Computed tomography of the spine — sagittal view
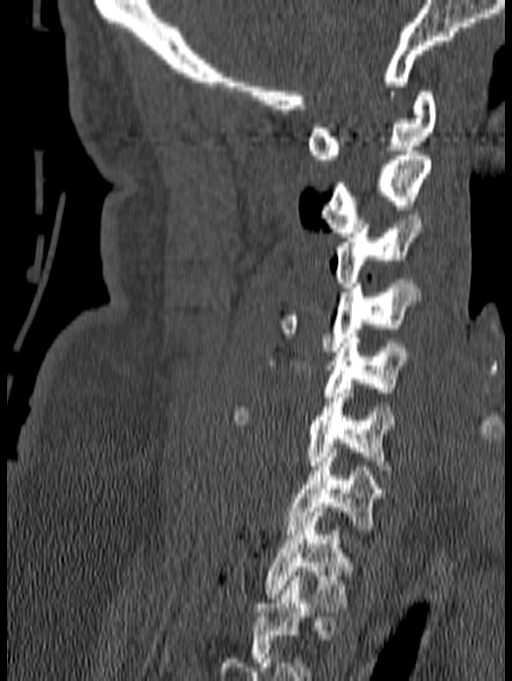
Boxes below are [x1, y1, x2, y2] in pixels.
The highest labeled vertebra in this scan is C1; the lowest is T1.
{"vertebrae":{"C1":[307,91,436,164],"C2":[321,151,431,237],"C3":[335,215,423,287],"C4":[277,279,420,351],"C5":[267,338,408,401],"C6":[231,384,395,474],"C7":[286,448,381,534],"T1":[264,507,354,607]}}